Spine CT; sagittal view; scan covers 13 annotated vertebrae
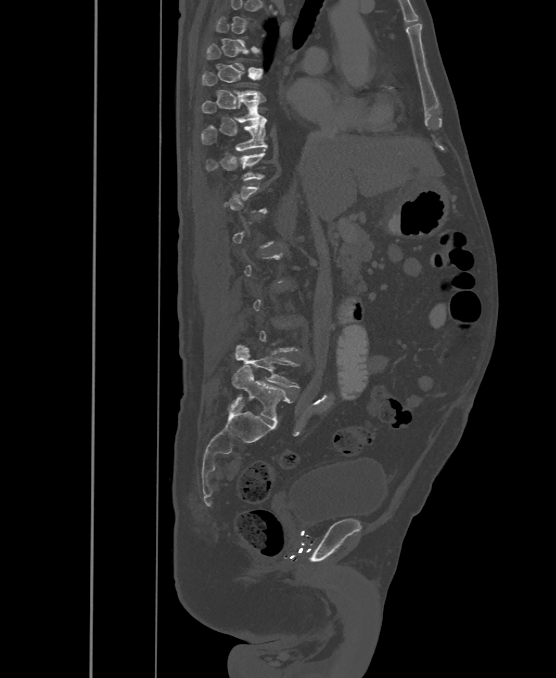

Each box given as x1,y1,x2,y2.
Not every vertebra on this slice has a box: a vertebra is boxed only from the first to the last slice where its cross-section is at least a third of its largest, and this slice is outside that range for at least one of them.
The labels name a sixth lumbar vertebra for this spine: L6, after L5.
| vertebra | x1 | y1 | x2 | y2 |
|---|---|---|---|---|
| T8 | 202 | 72 | 262 | 96 |
| T9 | 201 | 97 | 265 | 123 |
| T10 | 201 | 119 | 268 | 150 |
| T11 | 205 | 149 | 265 | 180 |
| L5 | 235 | 345 | 298 | 387 |
| L6 | 232 | 366 | 292 | 422 |